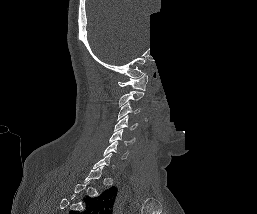

CT. image width 257 mm. sagittal view. an area of the scan was removed and filled with constant pixels. Box edges are left/top/right/bottom in pixels. A vertebra is boxed only from the first to the last slice where its cross-section is at least a third of its largest; slices outside that range leave it without a box. 6 vertebrae labeled — C6 at left=103, top=141, right=128, bottom=159; C5 at left=109, top=129, right=135, bottom=145; C4 at left=114, top=115, right=137, bottom=130; C3 at left=118, top=102, right=140, bottom=119; C2 at left=118, top=91, right=144, bottom=106; C1 at left=118, top=73, right=148, bottom=90.